Computed tomography of the spine; sagittal view; 168x509 px
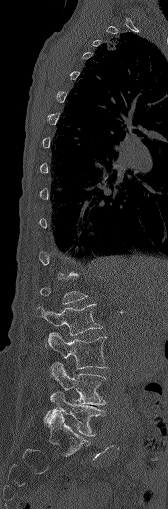 Bounding boxes as [x1, y1, x2, y2] in pixel coordinates.
Not every vertebra on this slice has a box: a vertebra is boxed only from the first to the last slice where its cross-section is at least a third of its largest, and this slice is outside that range for at least one of them.
Vertebra bounding boxes:
- L5: [44, 391, 102, 436]
- L4: [50, 362, 106, 404]
- L3: [47, 332, 107, 368]
- L2: [37, 304, 101, 335]